CT, spine. sagittal plane, index 157
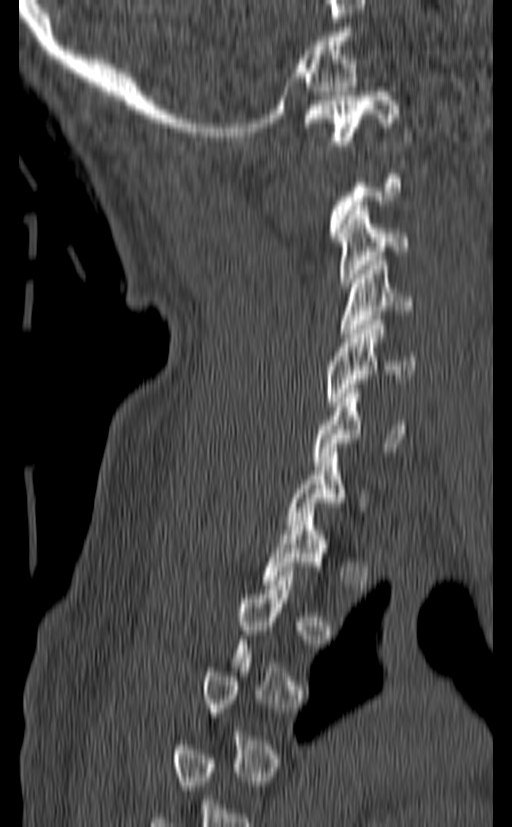

A vertebra is boxed only from the first to the last slice where its cross-section is at least a third of its largest; slices outside that range leave it without a box.
<vertebrae><v name="C1" x1="303" y1="91" x2="399" y2="145"/><v name="C3" x1="336" y1="206" x2="408" y2="287"/><v name="C4" x1="341" y1="261" x2="413" y2="337"/><v name="C5" x1="327" y1="320" x2="415" y2="406"/><v name="C6" x1="313" y1="384" x2="409" y2="465"/><v name="C7" x1="287" y1="453" x2="368" y2="529"/></vertebrae>